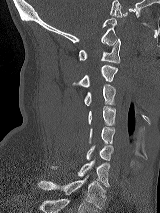
Spine CT. sagittal view. Bone window (WL 400, WW 1800)
Coordinates as <box>x1,y1,x2,y2</box>.
Vertebra bounding boxes:
- T1: <box>38,176,106,208</box>
- C7: <box>51,160,109,187</box>
- C6: <box>85,145,113,161</box>
- C5: <box>89,127,114,145</box>
- C4: <box>88,106,115,126</box>
- C3: <box>84,84,115,105</box>
- C2: <box>72,65,117,88</box>
- C1: <box>78,39,120,63</box>